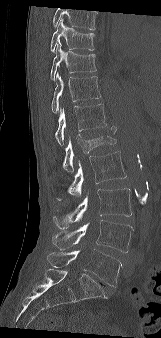 Computed tomography of the spine · sagittal reformat · 161 mm wide · W/L 1800/400 HU · 161x338 px. Each box given as x1,y1,x2,y2. Vertebrae that run past the top of the scan are left unlabeled. The labeled vertebrae in this slice are: T9 at x1=50, y1=18, x2=94, y2=52, T10 at x1=50, y1=43, x2=96, y2=80, T11 at x1=51, y1=72, x2=100, y2=113, T12 at x1=55, y1=104, x2=106, y2=145, L1 at x1=62, y1=125, x2=116, y2=172, L2 at x1=57, y1=151, x2=126, y2=200, L3 at x1=53, y1=188, x2=132, y2=228, L4 at x1=52, y1=219, x2=133, y2=252, L5 at x1=47, y1=249, x2=121, y2=286.